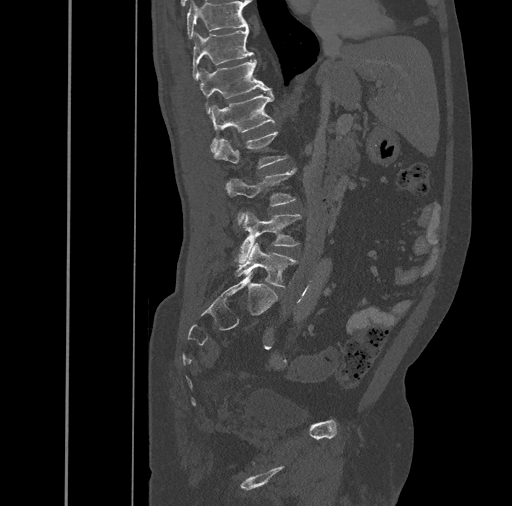
CT, spine · the image spans 461 mm across · sagittal reformat

Each vertebra maps to its box as [x1, y1, x2, y2], the pixel coordinates of its top-left and bottom-right corners.
{"vertebrae":{"L5":[235,243,296,287],"L4":[234,212,301,262],"L3":[225,167,297,223],"L2":[214,132,286,167],"L1":[209,89,275,152],"T12":[199,59,270,113],"T11":[192,27,253,80],"T10":[187,0,248,38]}}